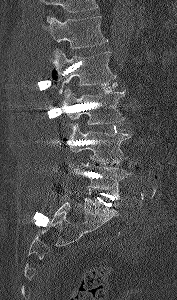
Computed tomography of the spine — sagittal reformat. Coordinates as <box>x1,y1,x2,y2</box>.
A vertebra cut off by the top edge of the scan is not labeled and has no box.
Vertebra bounding boxes:
- L1: <box>43,16,108,62</box>
- L2: <box>51,49,116,94</box>
- L3: <box>61,89,124,124</box>
- L4: <box>66,122,131,163</box>
- L5: <box>69,163,130,199</box>